CT; sagittal plane, index 230; the image spans 434 mm across; Bone window (WL 400, WW 1800); 17 vertebrae labeled in this scan
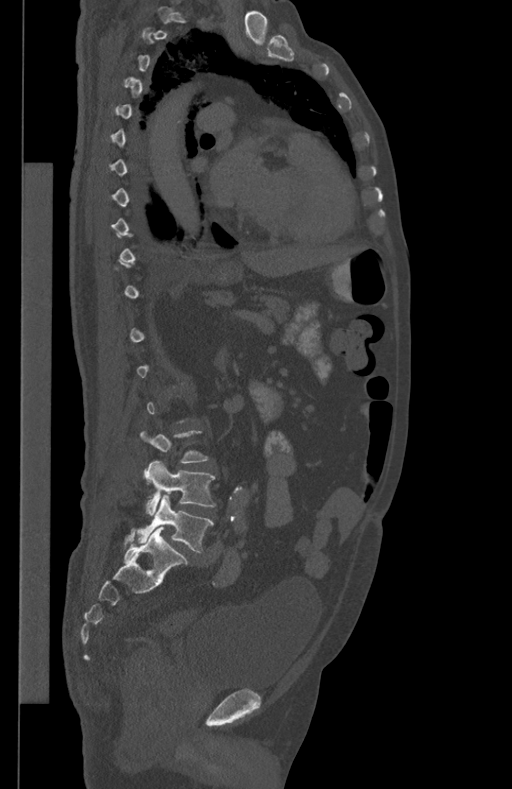

Box edges are left/top/right/bottom in pixels.
A vertebra is boxed only from the first to the last slice where its cross-section is at least a third of its largest; slices outside that range leave it without a box.
| vertebra | x1 | y1 | x2 | y2 |
|---|---|---|---|---|
| L4 | 144 | 460 | 215 | 515 |
| L5 | 136 | 495 | 214 | 552 |